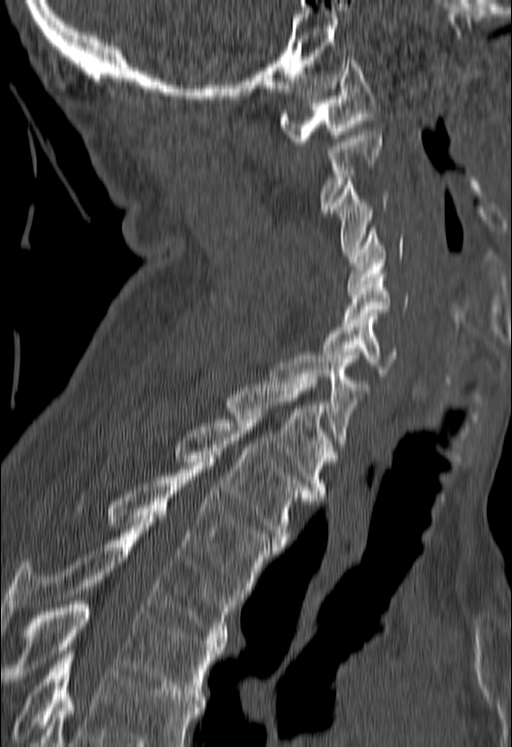

Spine CT. sagittal view
Boxes below are [x1, y1, x2, y2] in pixels.
Each vertebra is boxed only on the slices from the first to the last where its cross-section reaches a third of its largest, so a slice outside that range leaves it unboxed.
A vertebra cut off by the bottom edge of the scan is not labeled and has no box.
{"vertebrae":{"C1":[278,57,381,145],"C3":[331,178,390,255],"C4":[347,228,404,291],"C5":[345,274,408,323],"C6":[322,316,395,376],"C7":[271,356,371,447],"T1":[226,377,333,497],"T2":[174,416,310,547],"T3":[109,469,282,596],"T4":[0,519,239,643],"T5":[2,601,225,696]}}